CT spine; Sagittal slice 267/512
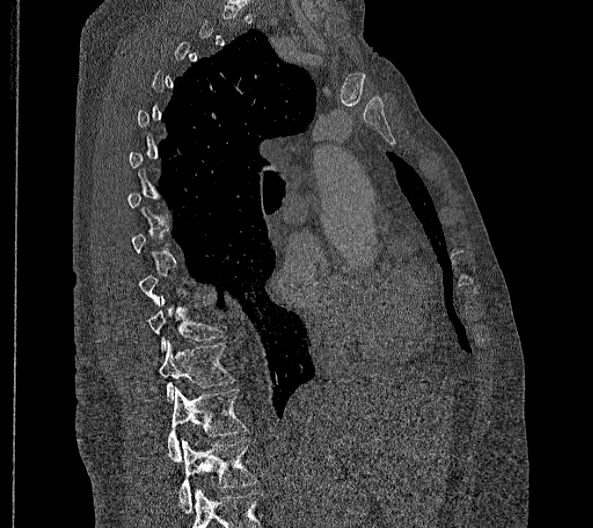
In the table, x1 and y1 are a box's top-left corner and x2 and y2 its bottom-right corner, in pixels.
Each vertebra is boxed only on the slices from the first to the last where its cross-section reaches a third of its largest, so a slice outside that range leaves it unboxed.
In these labels the thoracic vertebrae end at T11, so L1 follows T11.
| vertebra | x1 | y1 | x2 | y2 |
|---|---|---|---|---|
| T10 | 145 | 296 | 221 | 352 |
| T11 | 158 | 340 | 234 | 402 |
| L1 | 167 | 388 | 247 | 461 |
| L2 | 178 | 439 | 255 | 512 |